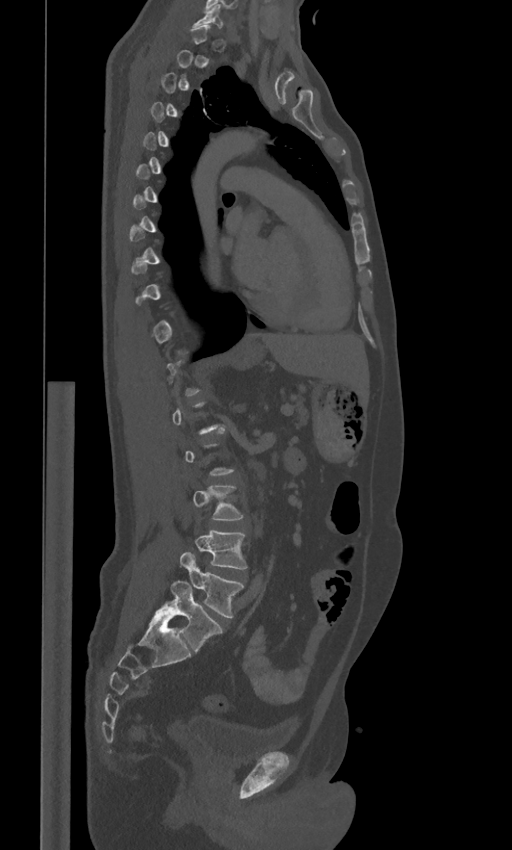
CT — sagittal view — the image spans 443 mm across
A vertebra gets a box only on the slices from the first to the last where its cross-section is at least a third of its largest; on a slice outside that range it gets none.
These labels give the spine a sixth lumbar vertebra, L6, below L5.
<vertebrae><v name="C7" x1="193" y1="5" x2="222" y2="27"/><v name="L4" x1="194" y1="529" x2="246" y2="569"/><v name="L5" x1="180" y1="551" x2="243" y2="618"/><v name="L6" x1="156" y1="580" x2="222" y2="653"/></vertebrae>